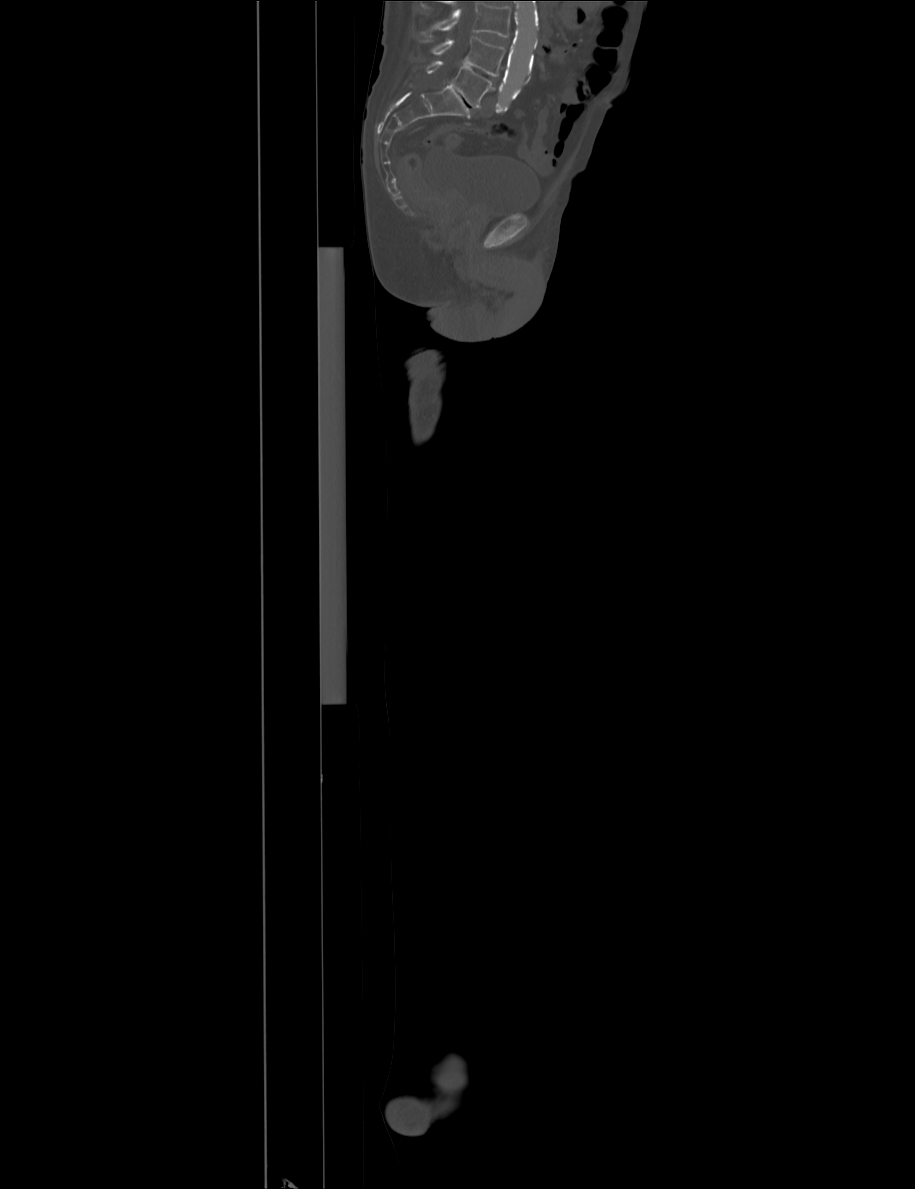
CT spine · sagittal view · 915x1189 px. Each box given as x1,y1,x2,y2.
No box is given to a vertebra that the top edge of the scan cuts off.
L4: x1=431, y1=37, x2=505, y2=76
L5: x1=426, y1=61, x2=495, y2=108